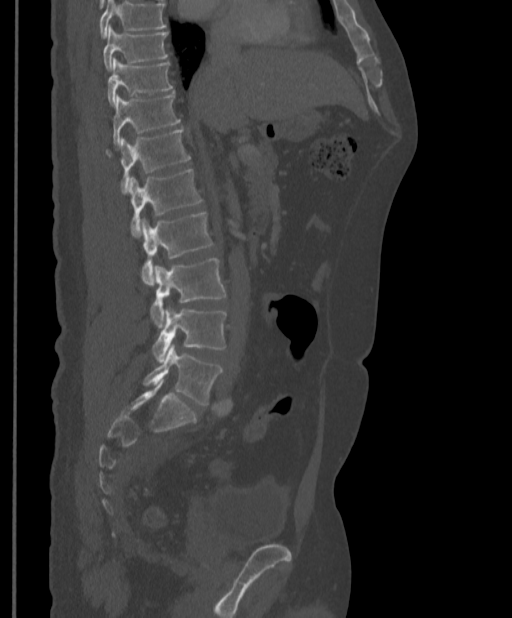 CT spine. 397 mm across the image. sagittal view
No box is given to a vertebra that the top edge of the scan cuts off.
<vertebrae><v name="L5" x1="143" y1="344" x2="222" y2="405"/><v name="L4" x1="152" y1="307" x2="226" y2="363"/><v name="L3" x1="151" y1="258" x2="226" y2="327"/><v name="L2" x1="140" y1="213" x2="213" y2="285"/><v name="L1" x1="126" y1="169" x2="203" y2="236"/><v name="T12" x1="106" y1="129" x2="190" y2="191"/><v name="T11" x1="112" y1="94" x2="181" y2="146"/><v name="T10" x1="107" y1="58" x2="172" y2="105"/><v name="T9" x1="103" y1="27" x2="168" y2="70"/></vertebrae>